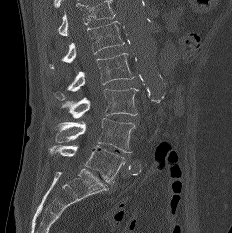

Computed tomography of the spine; the image is 232 mm wide; sagittal view
Boxes below are [x1, y1, x2, y2] in pixels.
No box is given to a vertebra that the top edge of the scan cuts off.
{"vertebrae":{"L1":[50,21,124,68],"L2":[55,52,135,100],"L3":[61,88,138,118],"L4":[55,118,135,152],"L5":[49,145,125,184]}}